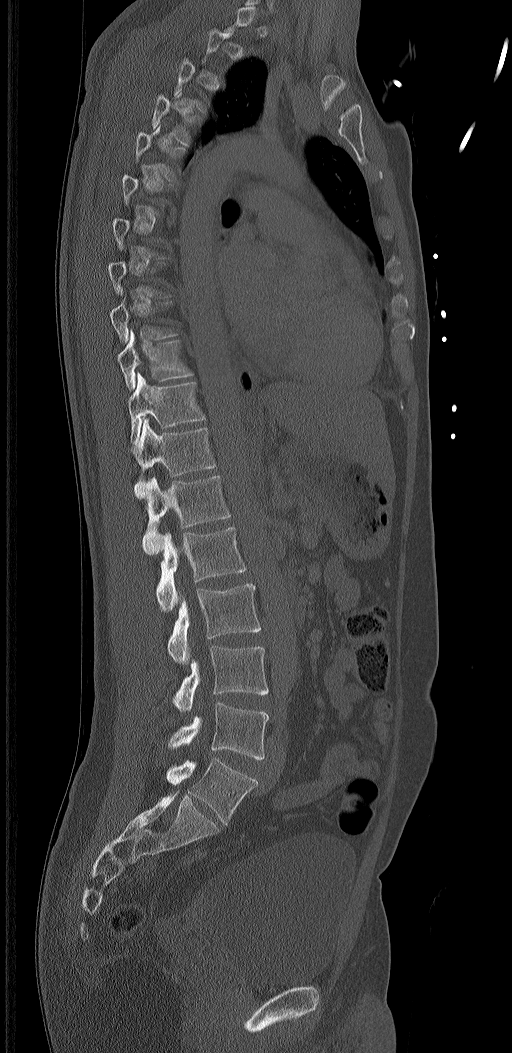
CT · sagittal reformat · Bone window (WL 400, WW 1800) · the image spans 320 mm across

Columns x1, y1, x2, y2 give each box's top-left and bottom-right pixels.
A vertebra is boxed only from the first to the last slice where its cross-section is at least a third of its largest; slices outside that range leave it without a box.
In these labels the spine has an L6, a sixth lumbar vertebra below L5.
| vertebra | x1 | y1 | x2 | y2 |
|---|---|---|---|---|
| T10 | 117 | 330 | 193 | 388 |
| T11 | 128 | 371 | 206 | 444 |
| T12 | 130 | 418 | 215 | 498 |
| L1 | 142 | 476 | 231 | 555 |
| L2 | 156 | 527 | 246 | 611 |
| L3 | 167 | 583 | 260 | 663 |
| L4 | 173 | 645 | 268 | 711 |
| L5 | 168 | 703 | 268 | 759 |
| L6 | 167 | 759 | 257 | 823 |